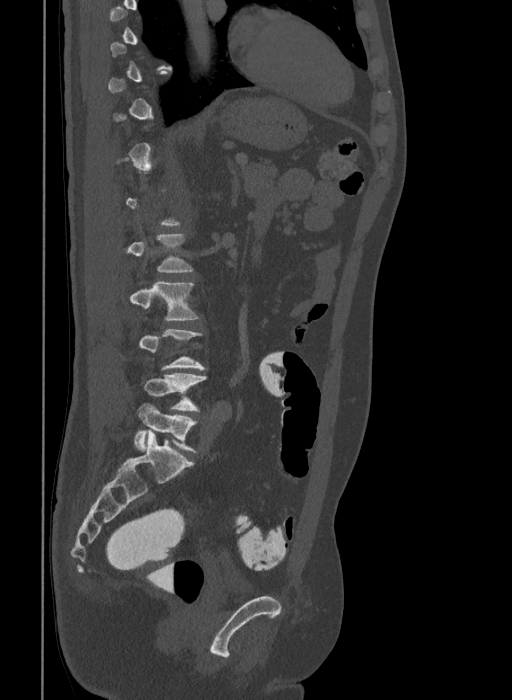 Spine computed tomography. sagittal view. bone window

Boxes: x1:y1:x2:y2 in pixels.
A vertebra gets a box only on the slices from the first to the last where its cross-section is at least a third of its largest; on a slice outside that range it gets none.
These labels give the spine a sixth lumbar vertebra, L6, below L5.
L2: 126:234:193:272
L3: 130:282:199:321
L4: 139:329:207:370
L5: 143:373:207:411
L6: 133:403:198:452